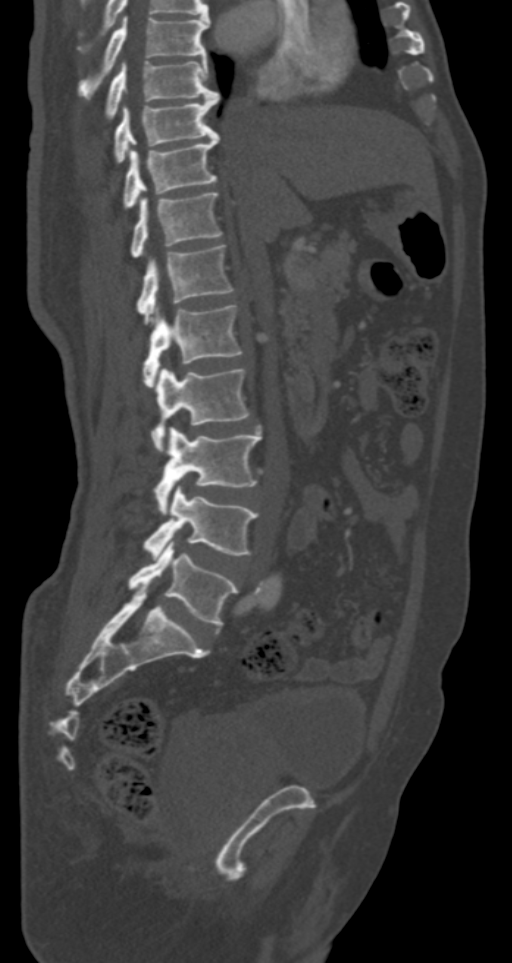

Spine CT · sagittal view. Boxes: x1:y1:x2:y2 in pixels. 11 vertebrae labeled — T7 at 78:17:209:99; T8 at 105:60:218:116; T9 at 114:94:218:161; T10 at 123:135:218:208; T11 at 132:192:222:257; T12 at 137:244:234:324; L1 at 142:303:243:387; L2 at 151:367:248:452; L3 at 155:428:261:515; L4 at 142:485:257:558; L5 at 128:541:238:627.